CT, spine · sagittal view · bone-window reconstruction · image width 140 mm · 512x923 px · 11 vertebrae labeled in this scan
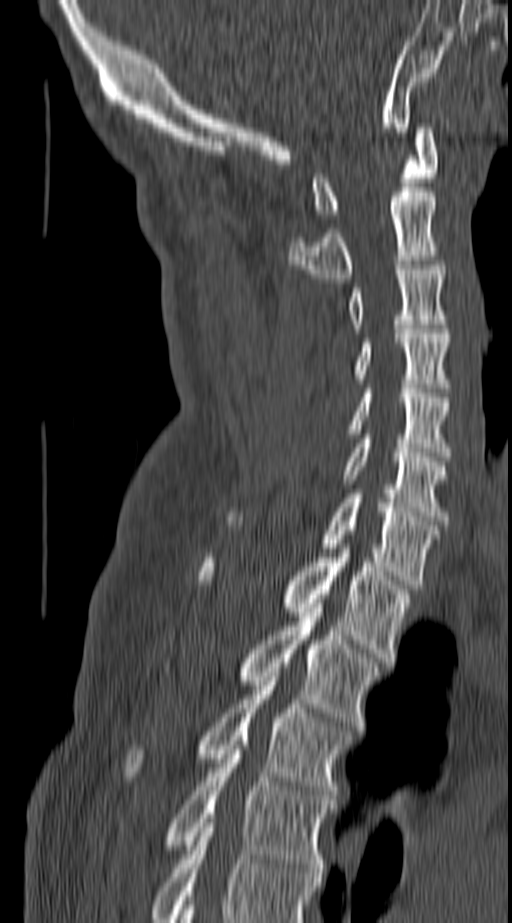

Boxes: x1:y1:x2:y2 in pixels.
Labels in this scan begin with C1 at the top and end with T4 at the bottom.
T4: 166:741:333:877
T3: 126:677:348:799
T2: 239:603:381:730
T1: 199:549:410:662
C7: 323:494:439:589
C6: 345:434:447:520
C5: 305:389:450:456
C4: 356:329:450:388
C3: 349:261:447:328
C2: 287:187:436:282
C1: 312:123:436:218